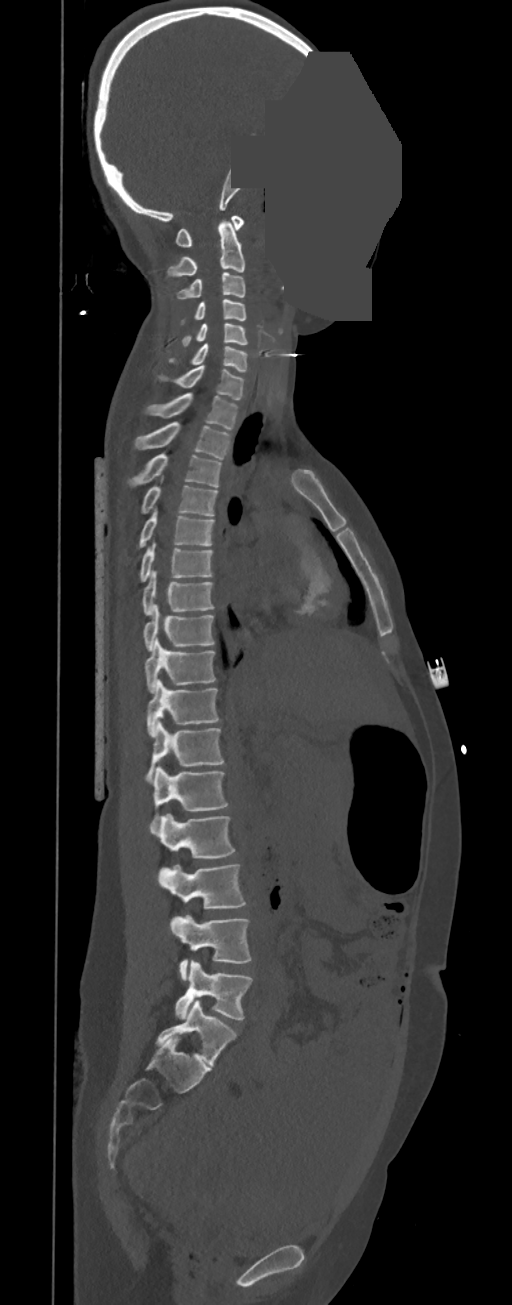

CT spine. 350 mm across the image. sagittal view. an area of the scan was removed and filled with constant pixels
In these labels the spine has no T12: the thoracic vertebrae end at T11, and L1 comes next.
<vertebrae><v name="C1" x1="175" y1="216" x2="244" y2="247"/><v name="C2" x1="167" y1="220" x2="245" y2="277"/><v name="C3" x1="177" y1="273" x2="245" y2="299"/><v name="C4" x1="181" y1="299" x2="246" y2="322"/><v name="C5" x1="182" y1="323" x2="247" y2="345"/><v name="C6" x1="169" y1="344" x2="247" y2="372"/><v name="C7" x1="159" y1="365" x2="245" y2="399"/><v name="T1" x1="146" y1="392" x2="237" y2="430"/><v name="T2" x1="134" y1="421" x2="230" y2="460"/><v name="T3" x1="127" y1="453" x2="221" y2="487"/><v name="T4" x1="140" y1="475" x2="218" y2="516"/><v name="T5" x1="137" y1="511" x2="214" y2="549"/><v name="T6" x1="139" y1="542" x2="212" y2="582"/><v name="T7" x1="142" y1="571" x2="214" y2="615"/><v name="T8" x1="143" y1="604" x2="215" y2="651"/><v name="T9" x1="145" y1="637" x2="215" y2="693"/><v name="T10" x1="146" y1="679" x2="220" y2="736"/><v name="T11" x1="145" y1="720" x2="224" y2="780"/><v name="L1" x1="153" y1="766" x2="228" y2="817"/><v name="L2" x1="150" y1="814" x2="236" y2="859"/><v name="L3" x1="157" y1="864" x2="246" y2="909"/><v name="L4" x1="171" y1="915" x2="252" y2="980"/><v name="L5" x1="175" y1="961" x2="252" y2="1019"/></vertebrae>